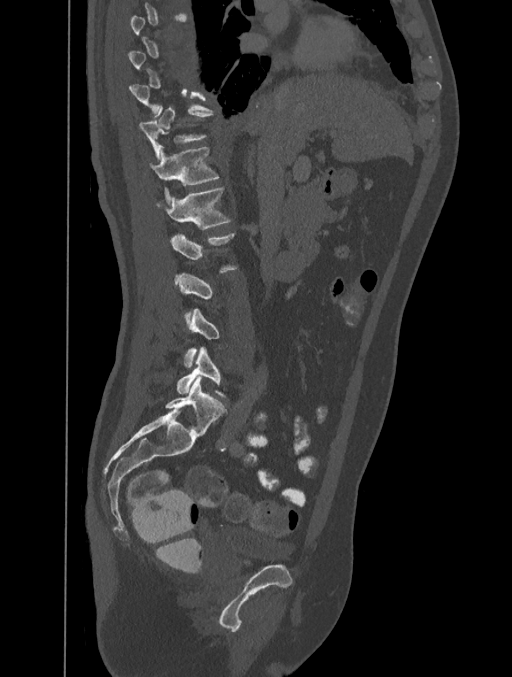

Spine CT. sagittal view. 401 mm wide. bone-window reconstruction. 512x677 px
Boxes are given in columns x1, y1, x2, y2, the pixel coordinates of their top-left and bottom-right corners.
A vertebra gets a box only on the slices from the first to the last where its cross-section is at least a third of its largest; on a slice outside that range it gets none.
| vertebra | x1 | y1 | x2 | y2 |
|---|---|---|---|---|
| T11 | 138 | 108 | 212 | 158 |
| T12 | 149 | 147 | 218 | 200 |
| L1 | 156 | 187 | 230 | 229 |
| L5 | 177 | 346 | 224 | 397 |